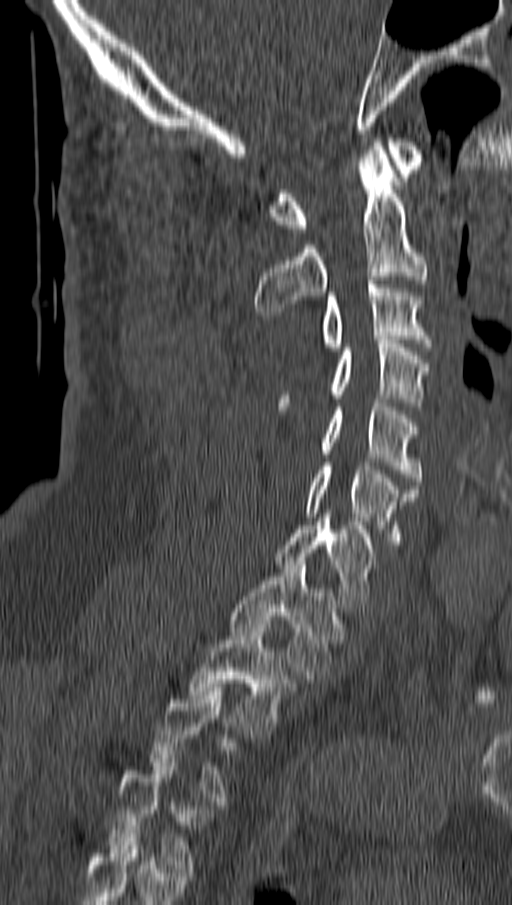 Computed tomography of the spine; sagittal view; bone-window reconstruction; 512x905 px. Boxes are (x1, y1, x2, y2) in pixels.
A vertebra gets a box only on the slices from the first to the last where its cross-section is at least a third of its largest; on a slice outside that range it gets none.
In this scan, the topmost labeled vertebra is C1 and the lowest is T4.
Vertebra bounding boxes:
- C1: (270, 138, 425, 232)
- C2: (254, 142, 427, 315)
- C3: (320, 280, 431, 351)
- C4: (279, 336, 430, 406)
- C5: (320, 399, 420, 485)
- C6: (304, 462, 418, 548)
- C7: (276, 514, 373, 611)
- T1: (229, 561, 338, 679)
- T2: (188, 620, 294, 738)
- T4: (109, 759, 206, 872)